Spine CT · Sagittal slice 247/512 · bone-window reconstruction · the image is 473 mm wide · 526x900 px · a portion of the image is blanked out (constant pixel value)
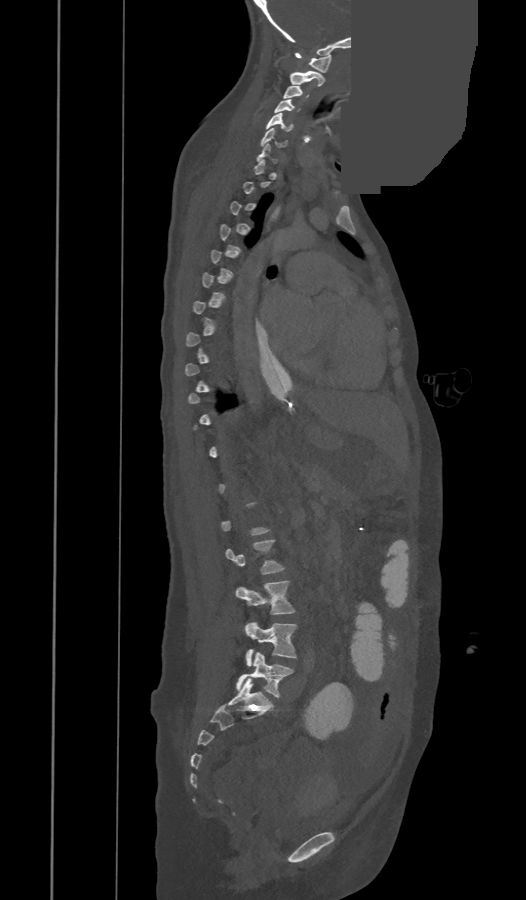

Boxes: x1 y1 x2 y2 (pixel coords, space-separated).
Not every vertebra on this slice has a box: a vertebra is boxed only from the first to the last slice where its cross-section is at least a third of its largest, and this slice is outside that range for at least one of them.
Vertebra bounding boxes:
- L5: 237 652 294 697
- L4: 244 622 297 666
- L3: 235 581 295 614
- L2: 226 540 283 574
- C7: 257 143 278 162
- C6: 261 128 286 147
- C5: 266 113 294 131
- C4: 274 99 294 112
- C3: 283 86 308 99
- C2: 289 71 324 86
- C1: 295 53 332 72